CT, spine — sagittal view — the image is 368 mm wide — W/L 1800/400 HU — 613x1182 px
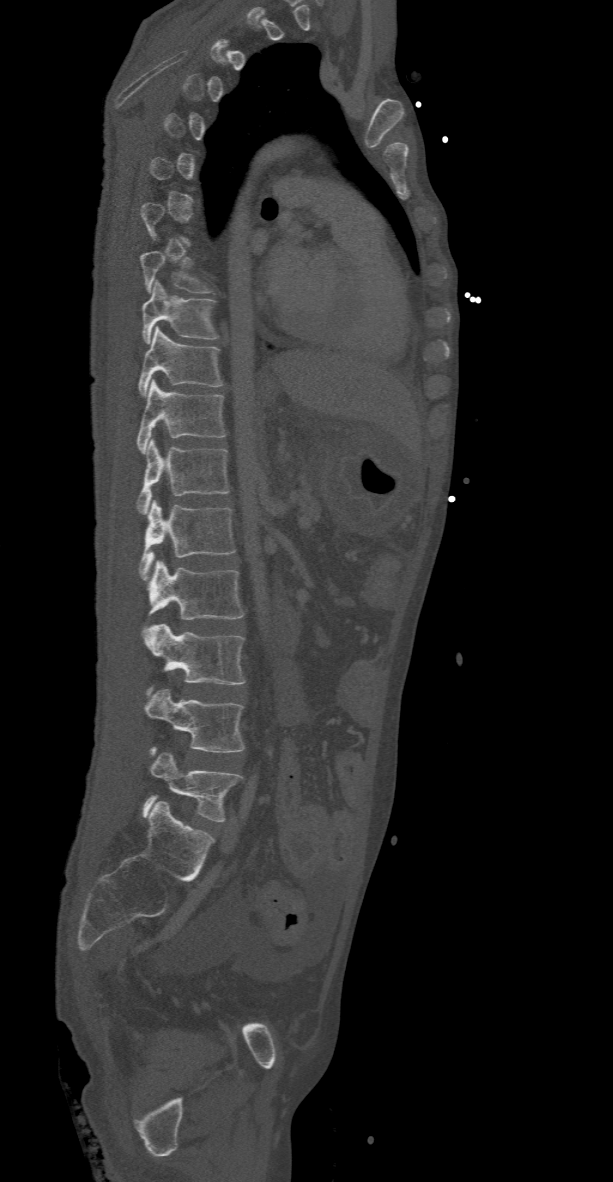 Each box is [x1, y1, x2, y2] in pixels: top-left corner, then bottom-right corner.
Not every vertebra on this slice has a box: a vertebra is boxed only from the first to the last slice where its cross-section is at least a third of its largest, and this slice is outside that range for at least one of them.
{"vertebrae":{"T8":[140,251,212,293],"T9":[141,281,218,343],"T10":[138,326,222,396],"T11":[137,379,225,453],"T12":[137,437,229,514],"L1":[140,501,235,578],"L2":[145,561,243,628],"L3":[141,624,243,693],"L4":[143,689,243,754],"L5":[143,752,242,821]}}